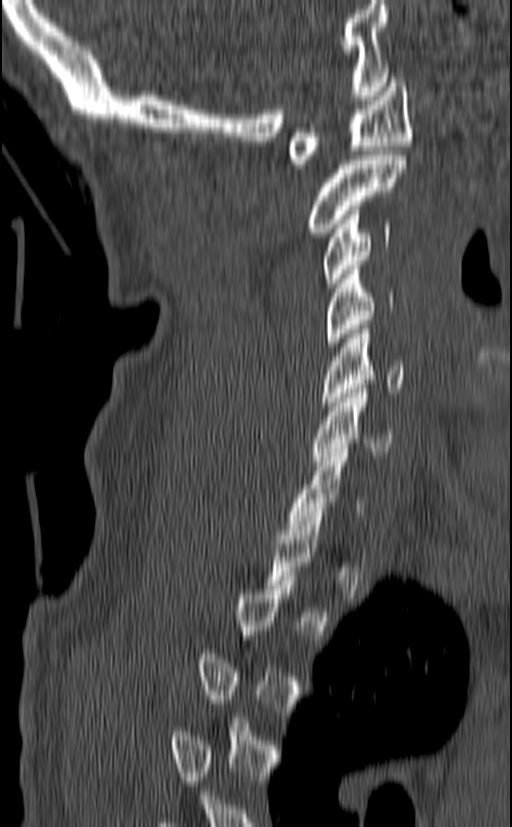

Spine computed tomography · sagittal reformat · 512x827 px. Bounding boxes as [x1, y1, x2, y2] in pixel coordinates. A vertebra is boxed only from the first to the last slice where its cross-section is at least a third of its largest; slices outside that range leave it without a box. 7 vertebrae labeled — C7 at [287, 448, 364, 534]; C6 at [312, 384, 393, 461]; C5 at [320, 325, 406, 406]; C4 at [323, 265, 394, 346]; C3 at [323, 206, 391, 287]; C2 at [309, 155, 406, 237]; C1 at [288, 78, 412, 168].